Computed tomography of the spine · sagittal view · 512x263 px
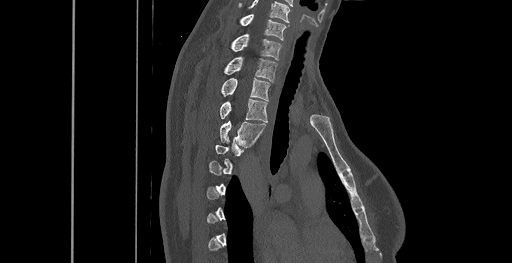 Bounding boxes as [x1, y1, x2, y2] in pixel coordinates.
Each vertebra is boxed only on the slices from the first to the last where its cross-section reaches a third of its largest, so a slice outside that range leaves it unboxed.
This scan's labels start at C6 at the top and end at T8 at the bottom.
C6: [239, 14, 285, 40]
C7: [230, 34, 281, 60]
T1: [224, 57, 276, 81]
T2: [220, 77, 269, 100]
T3: [219, 99, 268, 122]
T4: [219, 121, 265, 145]